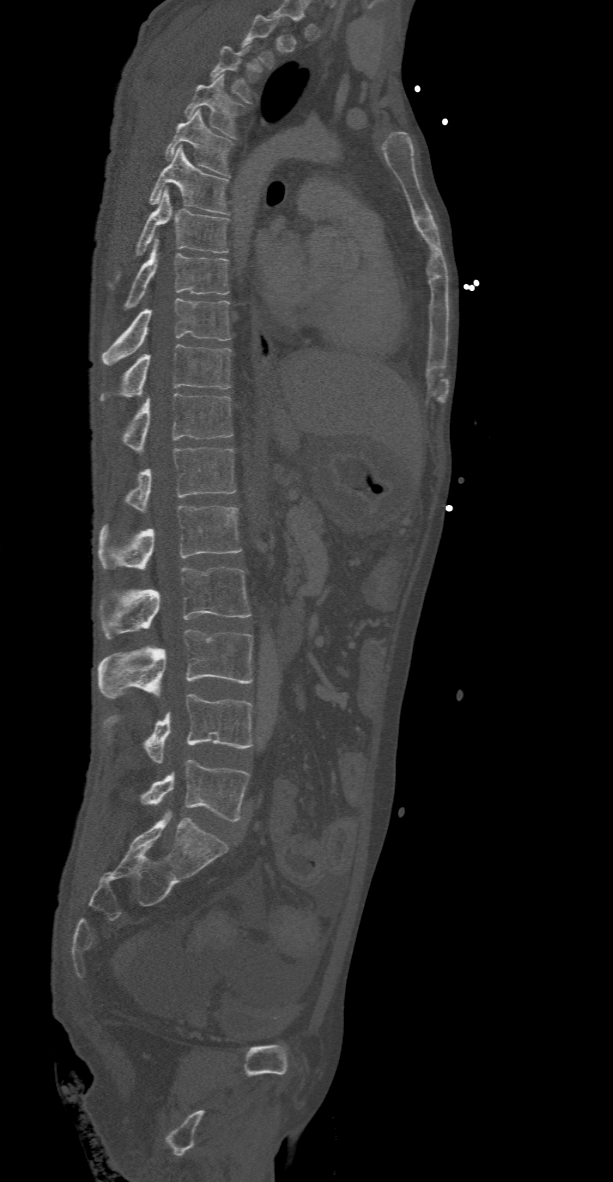
Computed tomography of the spine; sagittal view; bone-window reconstruction; 613x1182 px

Each box given as x1,y1,x2,y2.
A vertebra is boxed only from the first to the last slice where its cross-section is at least a third of its largest; slices outside that range leave it without a box.
T3: x1=210, y1=46, x2=251, y2=103
T4: x1=184, y1=74, x2=242, y2=138
T5: x1=165, y1=109, x2=234, y2=176
T6: x1=149, y1=146, x2=229, y2=213
T7: x1=108, y1=189, x2=229, y2=288
T8: x1=121, y1=239, x2=229, y2=311
T9: x1=102, y1=299, x2=230, y2=365
T10: x1=102, y1=344, x2=230, y2=400
T11: x1=123, y1=394, x2=233, y2=453
T12: x1=125, y1=447, x2=235, y2=513
L1: x1=98, y1=506, x2=241, y2=570
L2: x1=99, y1=567, x2=251, y2=638
L3: x1=98, y1=629, x2=252, y2=698
L4: x1=103, y1=694, x2=252, y2=763
L5: x1=140, y1=759, x2=248, y2=821